Computed tomography of the spine — the image spans 234 mm across — sagittal view
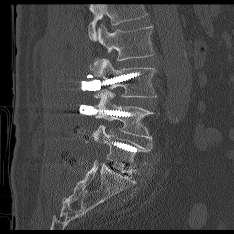

Boxes: x1:y1:x2:y2 in pixels. A vertebra cut off by the top edge of the scan is not labeled and has no box. The labeled vertebrae in this slice are: L2 at 98:24:154:60, L3 at 90:59:156:97, L4 at 95:91:153:141, L5 at 92:126:152:167.